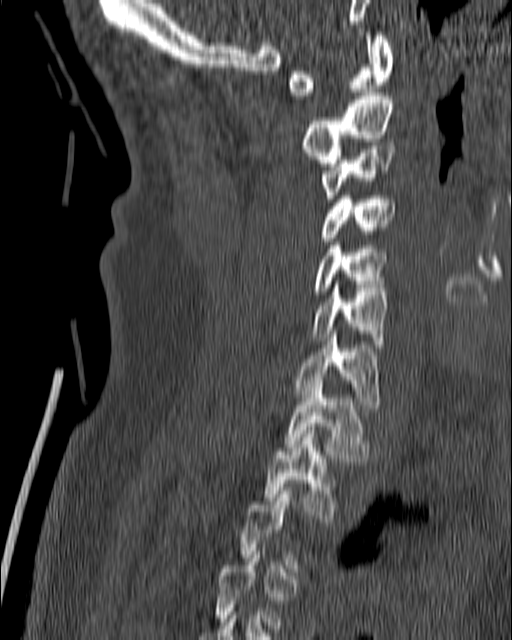
CT. the image spans 180 mm across. sagittal view. bone-window reconstruction. 512x640 px
Not every vertebra on this slice has a box: a vertebra is boxed only from the first to the last slice where its cross-section is at least a third of its largest, and this slice is outside that range for at least one of them.
<vertebrae><v name="C1" x1="288" y1="32" x2="393" y2="99"/><v name="C2" x1="302" y1="92" x2="392" y2="166"/><v name="C3" x1="321" y1="146" x2="396" y2="202"/><v name="C4" x1="319" y1="196" x2="395" y2="241"/><v name="C5" x1="314" y1="242" x2="387" y2="294"/><v name="C6" x1="311" y1="284" x2="387" y2="347"/><v name="C7" x1="294" y1="334" x2="378" y2="404"/><v name="T1" x1="285" y1="380" x2="367" y2="461"/><v name="T2" x1="263" y1="430" x2="335" y2="522"/></vertebrae>